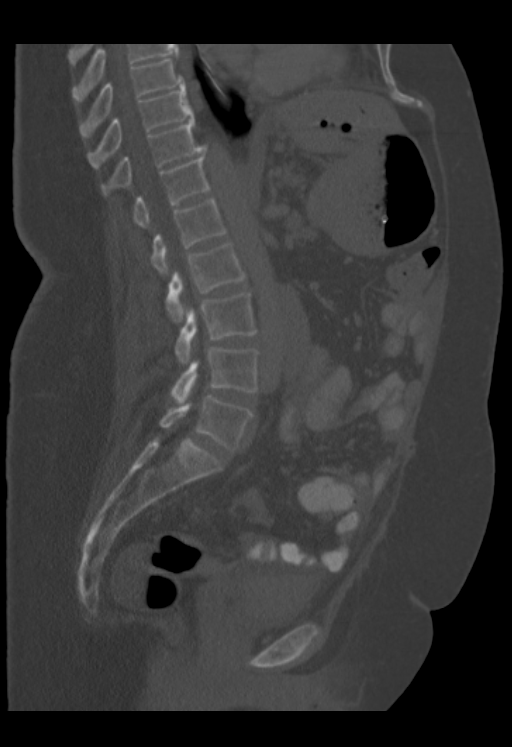
CT, spine. sagittal view. W/L 1800/400 HU. 512x747 px. the image spans 353 mm across

Boxes are given in columns x1, y1, x2, y2, the pixel coordinates of their top-left and bottom-right corners.
Labels in this scan begin with T9 at the top and end with L5 at the bottom.
| vertebra | x1 | y1 | x2 | y2 |
|---|---|---|---|---|
| L5 | 160 | 396 | 253 | 450 |
| L4 | 171 | 347 | 259 | 402 |
| L3 | 174 | 292 | 257 | 363 |
| L2 | 166 | 242 | 246 | 321 |
| L1 | 151 | 199 | 225 | 274 |
| T12 | 134 | 149 | 210 | 228 |
| T11 | 101 | 119 | 204 | 195 |
| T10 | 87 | 83 | 193 | 168 |
| T9 | 79 | 58 | 183 | 139 |